CT, spine. sagittal reformat. 369x669 px
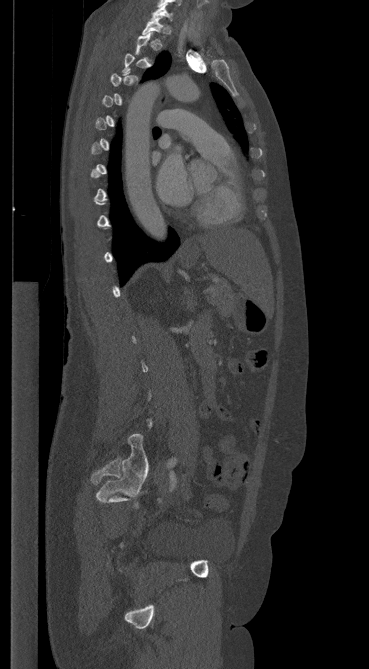
Each box given as x1,y1,x2,y2.
A vertebra gets a box only on the slices from the first to the last where its cross-section is at least a third of its largest; on a slice outside that range it gets none.
| vertebra | x1 | y1 | x2 | y2 |
|---|---|---|---|---|
| C7 | 151 | 4 | 172 | 20 |
| T1 | 142 | 18 | 165 | 40 |